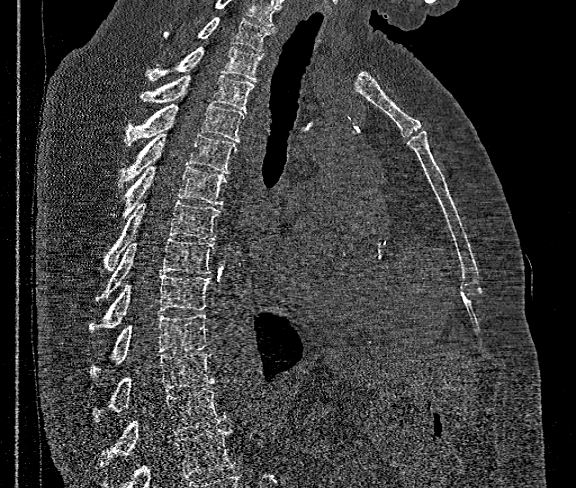 CT spine; sagittal view; W/L 1800/400 HU; 576x488 px
Vertebrae that run past the bottom of the scan are left unlabeled.
This scan's labels start at T1 at the top and end at T12 at the bottom.
<vertebrae><v name="T12" x1="100" y1="389" x2="226" y2="467"/><v name="T11" x1="94" y1="352" x2="215" y2="420"/><v name="T10" x1="91" y1="314" x2="207" y2="375"/><v name="T9" x1="91" y1="274" x2="210" y2="329"/><v name="T8" x1="96" y1="239" x2="213" y2="302"/><v name="T7" x1="106" y1="200" x2="221" y2="270"/><v name="T6" x1="114" y1="165" x2="226" y2="217"/><v name="T5" x1="119" y1="133" x2="237" y2="187"/><v name="T4" x1="125" y1="104" x2="245" y2="145"/><v name="T3" x1="139" y1="76" x2="254" y2="111"/><v name="T2" x1="147" y1="47" x2="262" y2="81"/><v name="T1" x1="164" y1="16" x2="272" y2="51"/></vertebrae>